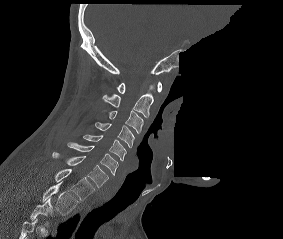

Computed tomography of the spine — sagittal view — 283x239 px — some of the image was removed or blocked out with constant pixels
In this scan, the topmost labeled vertebra is C1 and the lowest is T2.
<vertebrae><v name="C1" x1="117" y1="82" x2="162" y2="93"/><v name="C2" x1="102" y1="83" x2="155" y2="117"/><v name="C3" x1="108" y1="110" x2="143" y2="133"/><v name="C4" x1="95" y1="122" x2="134" y2="147"/><v name="C5" x1="83" y1="134" x2="126" y2="161"/><v name="C6" x1="67" y1="142" x2="118" y2="176"/><v name="C7" x1="52" y1="152" x2="108" y2="187"/><v name="T1" x1="55" y1="169" x2="94" y2="200"/><v name="T2" x1="43" y1="181" x2="77" y2="215"/></vertebrae>